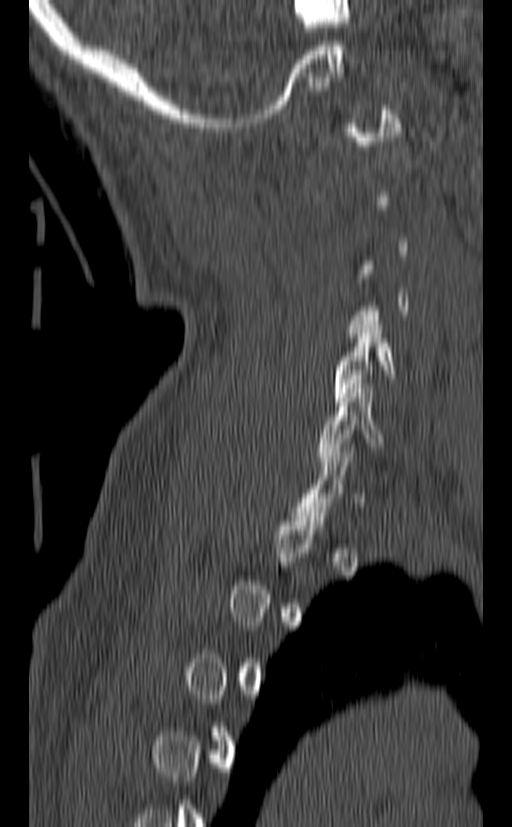 Spine computed tomography. sagittal view. bone-window reconstruction. Box edges are left/top/right/bottom in pixels.
Not every vertebra on this slice has a box: a vertebra is boxed only from the first to the last slice where its cross-section is at least a third of its largest, and this slice is outside that range for at least one of them.
Vertebra bounding boxes:
- C5: left=330, top=320, right=395, bottom=406
- C6: left=318, top=384, right=384, bottom=465